CT; sagittal plane, index 234; 512x1305 px; a region is masked with a constant gray value
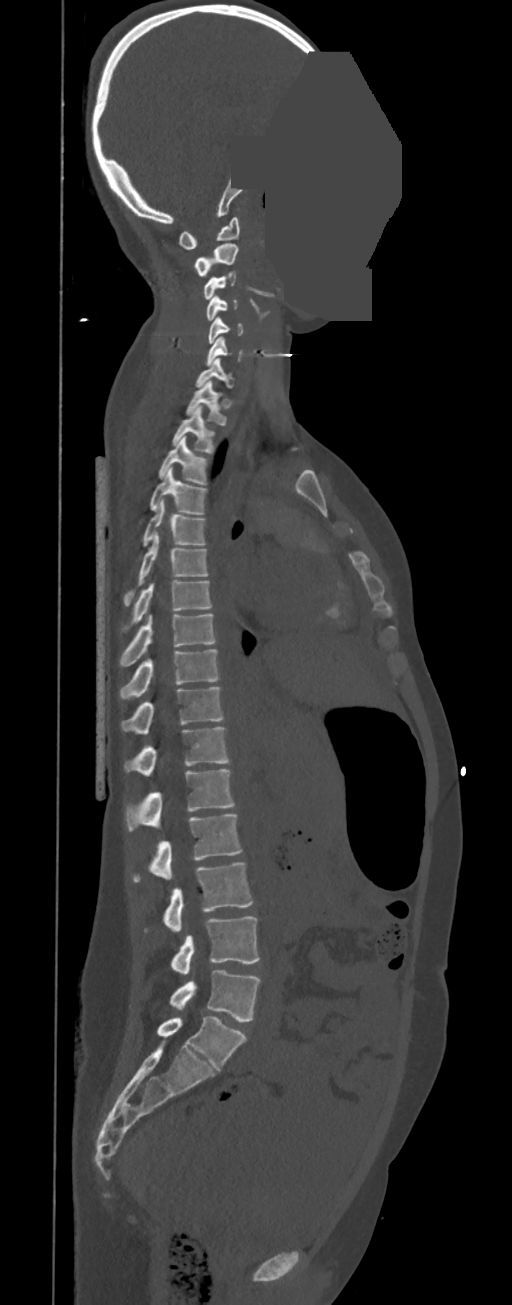 Each vertebra maps to its box as [x1, y1, x2, y2], the pixel coordinates of its top-left and bottom-right corners.
In these labels the thoracic vertebrae end at T11, so L1 follows T11.
{"vertebrae":{"L5":[169,970,261,1022],"L4":[171,916,259,975],"L3":[164,862,253,931],"L2":[134,814,242,881],"L1":[127,769,234,831],"T11":[124,727,228,776],"T10":[121,687,224,734],"T9":[120,649,220,698],"T8":[120,614,217,667],"T7":[121,581,212,634],"T6":[123,532,208,606],"T5":[142,499,206,545],"T4":[149,466,208,514],"T3":[158,436,209,485],"T2":[171,406,215,453],"T1":[186,380,227,426],"C7":[196,358,234,387],"C6":[206,336,243,366],"C5":[208,317,243,344],"C4":[206,295,237,320],"C3":[203,270,236,299],"C2":[193,244,238,275],"C1":[178,216,239,249]}}